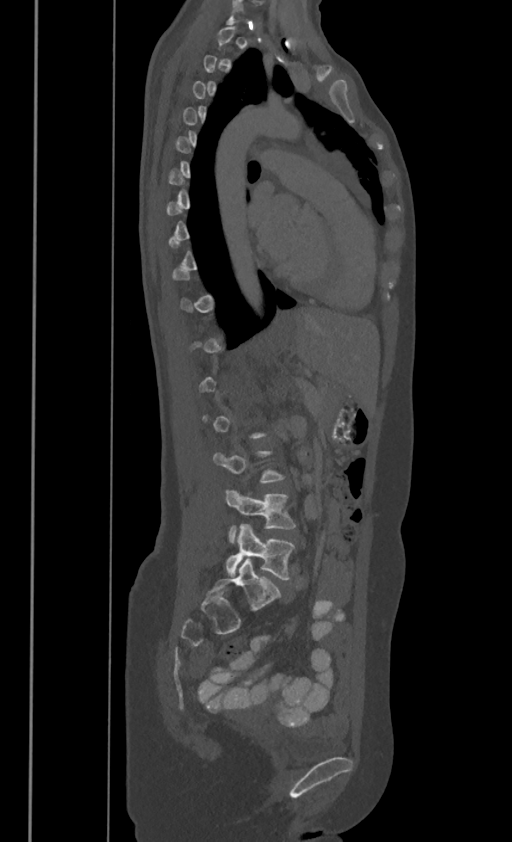
CT spine — sagittal reformat — the image is 386 mm wide
A vertebra gets a box only on the slices from the first to the last where its cross-section is at least a third of its largest; on a slice outside that range it gets none.
<vertebrae><v name="L4" x1="225" y1="491" x2="295" y2="542"/><v name="L5" x1="225" y1="523" x2="295" y2="579"/></vertebrae>